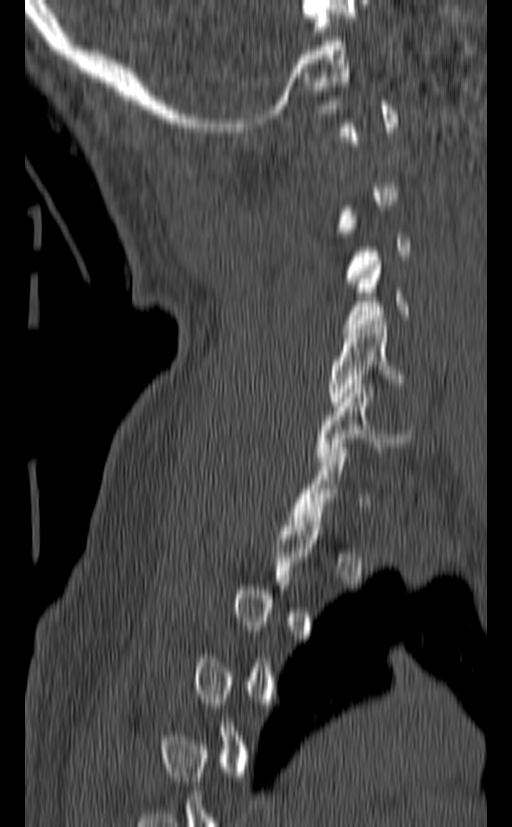
Spine computed tomography · sagittal view. Coordinates as <box>x1,y1,x2,y2</box>.
A vertebra gets a box only on the slices from the first to the last where its cross-section is at least a third of its largest; on a slice outside that range it gets none.
Vertebra bounding boxes:
- C4: <box>343,261,408,333</box>
- C5: <box>327,320,406,406</box>
- C6: <box>317,384,416,465</box>